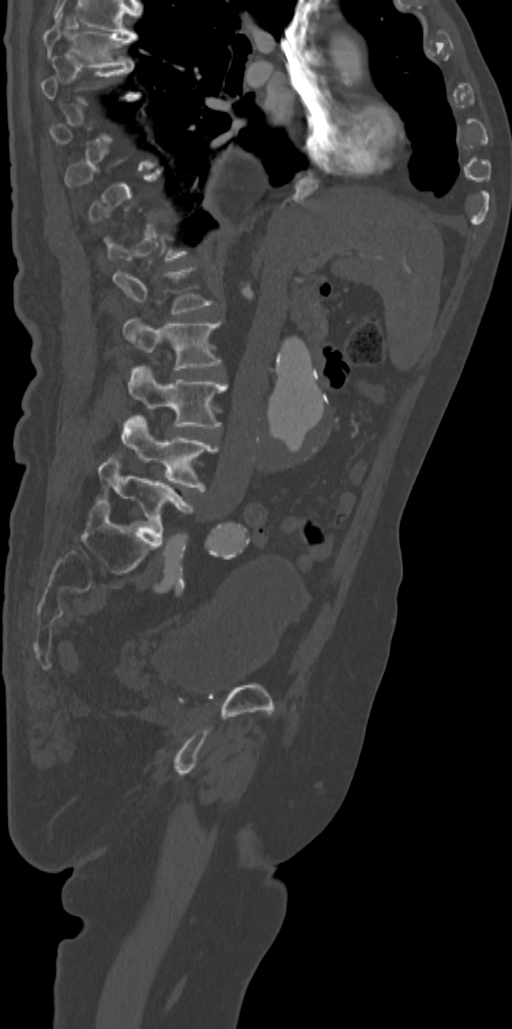
CT, spine · sagittal reformat

Boxes: x1:y1:x2:y2 in pixels.
A vertebra gets a box only on the slices from the first to the last where its cross-section is at least a third of its largest; on a slice outside that range it gets none.
T7: 43:9:137:66
L1: 112:267:214:314
L2: 123:317:220:370
L3: 129:364:226:428
L4: 121:413:217:491
L5: 99:456:193:538